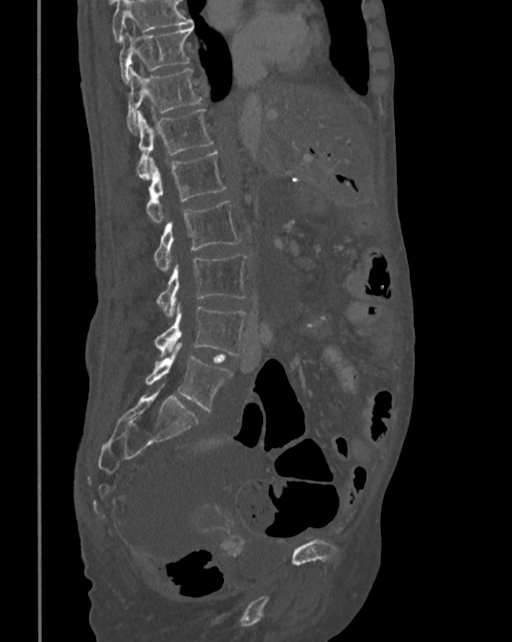

Spine computed tomography — image width 342 mm — sagittal view
Box edges are left/top/right/bottom in pixels.
A vertebra cut off by the top edge of the scan is not labeled and has no box.
| vertebra | x1 | y1 | x2 | y2 |
|---|---|---|---|---|
| T10 | 120 | 28 | 192 | 83 |
| T11 | 127 | 68 | 202 | 131 |
| T12 | 136 | 108 | 213 | 179 |
| L1 | 145 | 152 | 226 | 222 |
| L2 | 154 | 201 | 241 | 270 |
| L3 | 155 | 254 | 247 | 315 |
| L4 | 154 | 307 | 247 | 355 |
| L5 | 145 | 344 | 232 | 411 |